Spine CT — sagittal view — 336 mm image width — 512x980 px
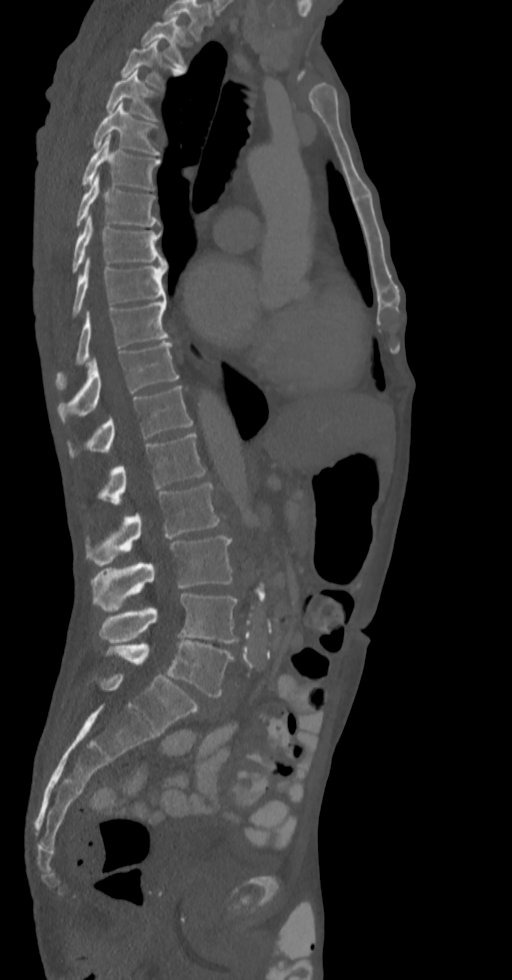

Each box is [x1, y1, x2, y2] in pixels: top-left corner, then bottom-right corner.
The highest labeled vertebra in this scan is T2; the lowest is L5.
{"vertebrae":{"T2":[141,17,185,68],"T3":[122,40,180,87],"T4":[106,70,157,121],"T5":[93,102,160,154],"T6":[82,134,160,189],"T7":[76,174,160,226],"T8":[73,215,166,272],"T9":[73,256,166,316],"T10":[56,299,169,383],"T11":[58,341,179,423],"T12":[67,386,192,458],"L1":[80,433,206,508],"L2":[85,483,220,566],"L3":[90,536,232,610],"L4":[99,593,239,644],"L5":[103,640,233,697]}}